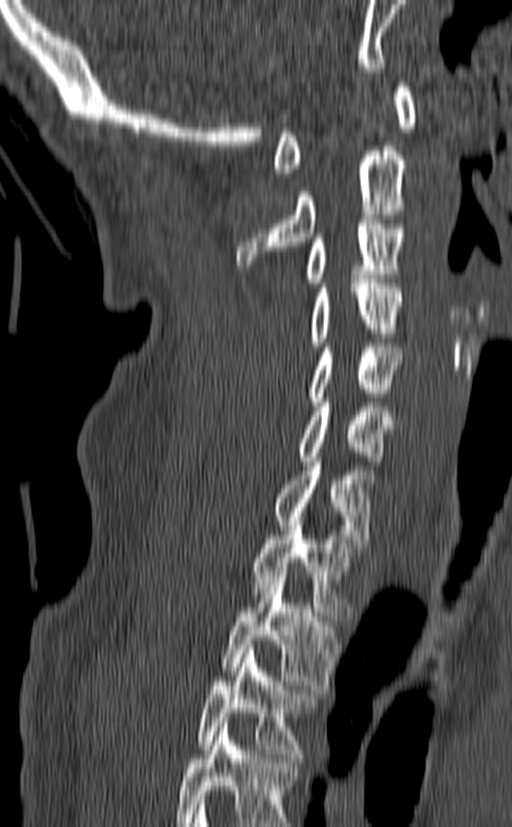
CT. 140 mm across the image. sagittal view. 512x827 px. Boxes are (x1, y1, x2, y2) in pixels.
This scan's labels start at C1 at the top and end at T3 at the bottom.
Vertebra bounding boxes:
- T3: (195, 645, 319, 762)
- T2: (221, 571, 340, 689)
- T1: (250, 521, 359, 616)
- C7: (272, 457, 374, 548)
- C6: (298, 398, 392, 465)
- C5: (308, 343, 403, 406)
- C4: (309, 279, 402, 346)
- C3: (305, 219, 403, 287)
- C2: (236, 146, 406, 269)
- C1: (274, 82, 417, 177)